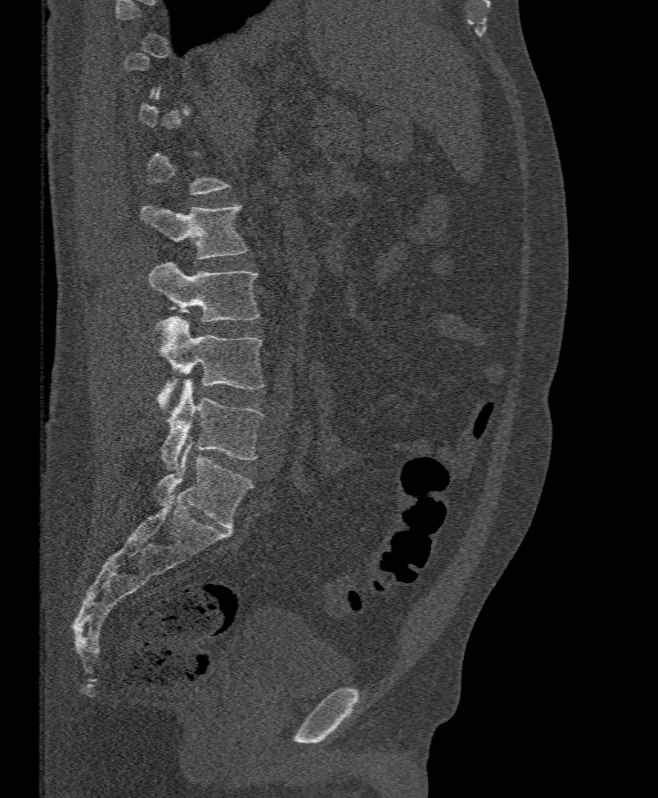 CT, spine. sagittal view. bone window. 658x798 px
Bounding boxes as [x1, y1, x2, y2] in pixel coordinates. A vertebra is boxed only from the first to the last slice where its cross-section is at least a third of its largest; slices outside that range leave it without a box. 4 vertebrae labeled — L2 at [141, 203, 247, 259]; L3 at [148, 262, 259, 322]; L4 at [154, 316, 264, 409]; L5 at [162, 380, 264, 469].